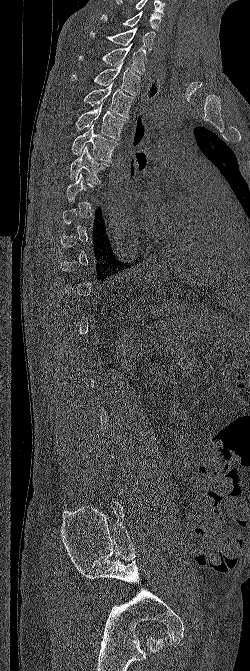

Spine computed tomography; sagittal reformat
Box edges are left/top/right/bottom in pixels. Each vertebra is boxed only on the slices from the first to the last where its cross-section reaches a third of its largest, so a slice outside that range leaves it unboxed. The highest labeled vertebra in this scan is C6; the lowest is L5. 8 vertebrae labeled — T6 at left=70, top=146, right=109, bottom=183; T5 at left=71, top=124, right=118, bottom=162; T4 at left=75, top=103, right=128, bottom=140; T3 at left=82, top=82, right=134, bottom=118; T2 at left=70, top=63, right=140, bottom=95; T1 at left=78, top=43, right=147, bottom=74; C7 at left=90, top=27, right=155, bottom=52; C6 at left=101, top=11, right=162, bottom=30.